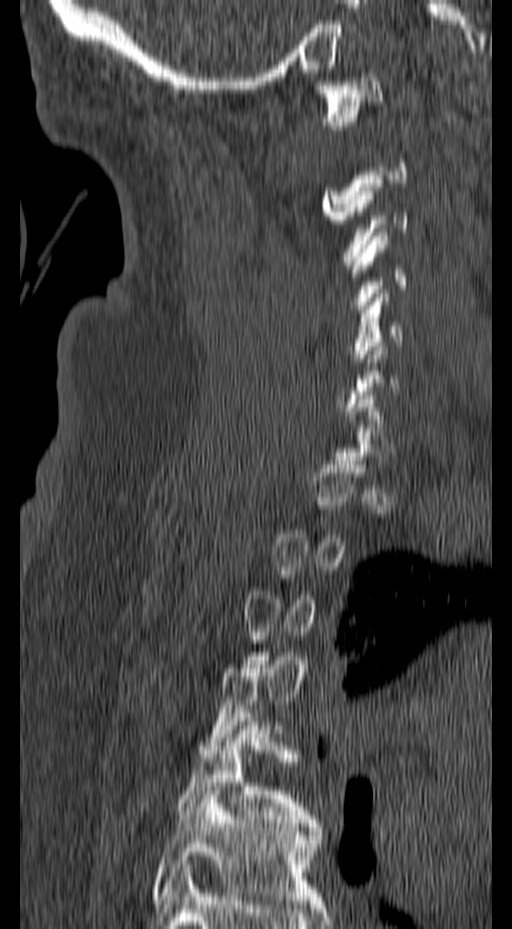 Spine computed tomography; sagittal view; bone-window reconstruction; 512x929 px
Each vertebra is boxed only on the slices from the first to the last where its cross-section reaches a third of its largest, so a slice outside that range leaves it unboxed.
<vertebrae><v name="T6" x1="150" y1="787" x2="323" y2="904"/><v name="T5" x1="177" y1="713" x2="321" y2="827"/><v name="C5" x1="350" y1="289" x2="403" y2="370"/><v name="C4" x1="347" y1="232" x2="406" y2="309"/><v name="C1" x1="316" y1="73" x2="382" y2="129"/></vertebrae>